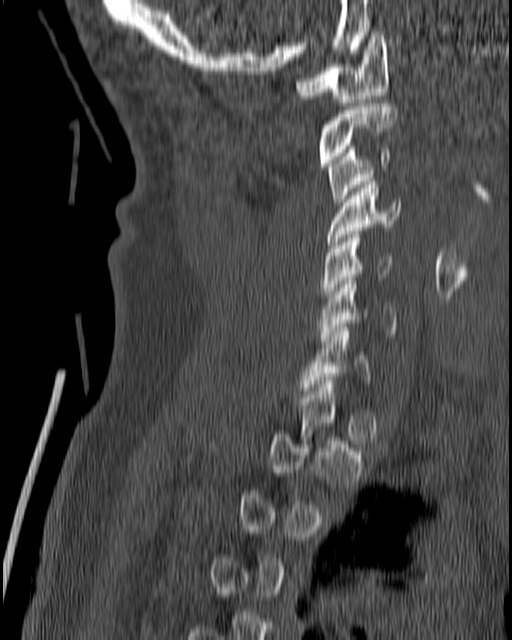
Spine computed tomography — sagittal view — Bone window (WL 400, WW 1800) — 180 mm image width

Each vertebra is boxed only on the slices from the first to the last where its cross-section reaches a third of its largest, so a slice outside that range leaves it unboxed.
<vertebrae><v name="C7" x1="300" y1="327" x2="370" y2="394"/><v name="C6" x1="317" y1="277" x2="396" y2="344"/><v name="C5" x1="319" y1="235" x2="392" y2="301"/><v name="C4" x1="325" y1="178" x2="401" y2="248"/><v name="C3" x1="326" y1="146" x2="390" y2="205"/><v name="C2" x1="319" y1="103" x2="397" y2="166"/><v name="C1" x1="296" y1="32" x2="389" y2="106"/></vertebrae>